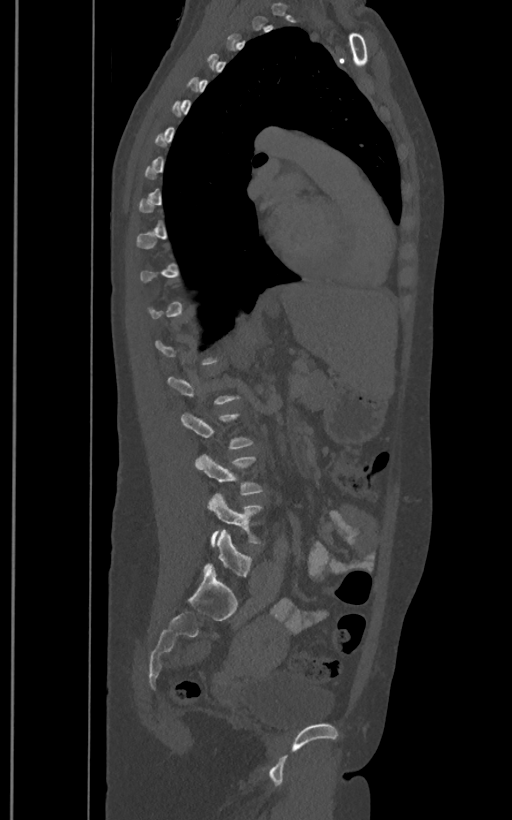 Spine computed tomography; sagittal reformat; bone-window reconstruction; 512x820 px
Boxes are (x1, y1, x2, y2) in pixels. A vertebra gets a box only on the slices from the first to the last where its cross-section is at least a third of its largest; on a slice outside that range it gets none. These labels give the spine a sixth lumbar vertebra, L6, below L5. Vertebrae labeled: L4 at (194, 454, 263, 494), L5 at (207, 494, 263, 545), L6 at (203, 530, 251, 577).